CT, spine · sagittal reformat · 14 vertebrae labeled in this scan · the image is 563 mm wide
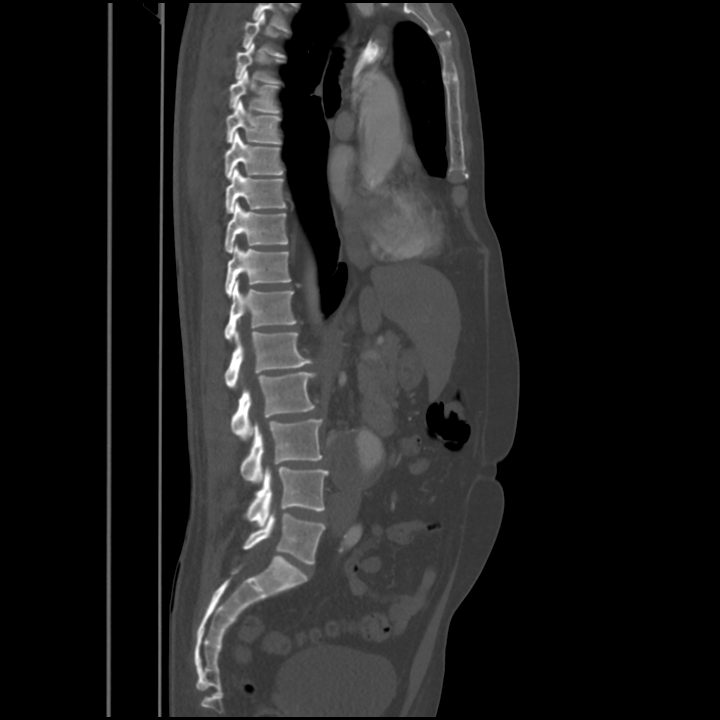 Box edges are left/top/right/bottom in pixels.
Not every vertebra on this slice has a box: a vertebra is boxed only from the first to the last slice where its cross-section is at least a third of its largest, and this slice is outside that range for at least one of them.
| vertebra | x1 | y1 | x2 | y2 |
|---|---|---|---|---|
| T5 | 235 | 43 | 283 | 84 |
| T6 | 229 | 71 | 279 | 113 |
| T7 | 227 | 100 | 281 | 144 |
| T8 | 225 | 132 | 283 | 178 |
| T9 | 225 | 169 | 286 | 213 |
| T10 | 224 | 202 | 288 | 252 |
| T11 | 225 | 244 | 291 | 296 |
| T12 | 224 | 280 | 296 | 339 |
| L1 | 225 | 331 | 310 | 388 |
| L2 | 230 | 372 | 315 | 439 |
| L3 | 241 | 418 | 323 | 483 |
| L4 | 246 | 467 | 328 | 526 |
| L5 | 243 | 513 | 325 | 564 |